CT, spine. sagittal plane, index 223
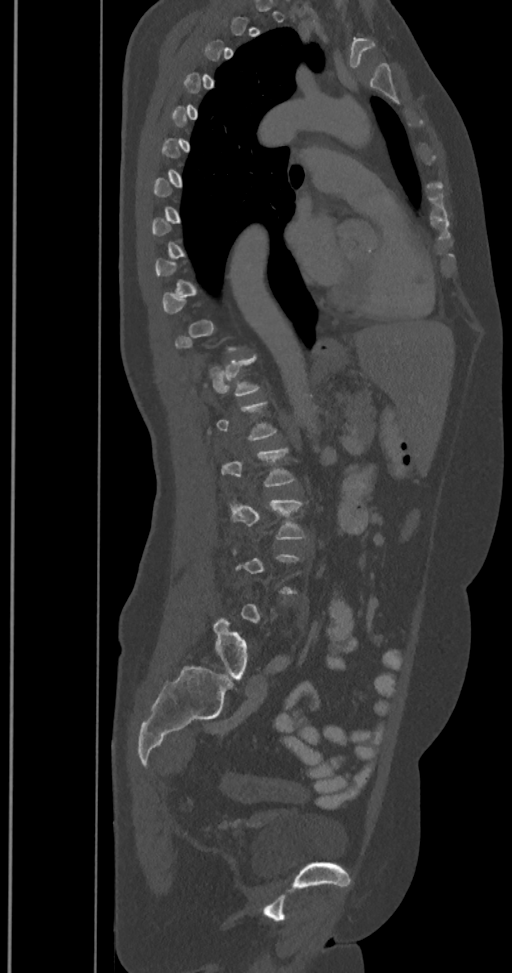 Each vertebra is boxed only on the slices from the first to the last where its cross-section reaches a third of its largest, so a slice outside that range leaves it unboxed.
These labels give the spine a sixth lumbar vertebra, L6, below L5.
<vertebrae><v name="L3" x1="229" y1="499" x2="306" y2="539"/><v name="L6" x1="213" y1="617" x2="247" y2="678"/></vertebrae>